CT, spine. sagittal reformat. bone window
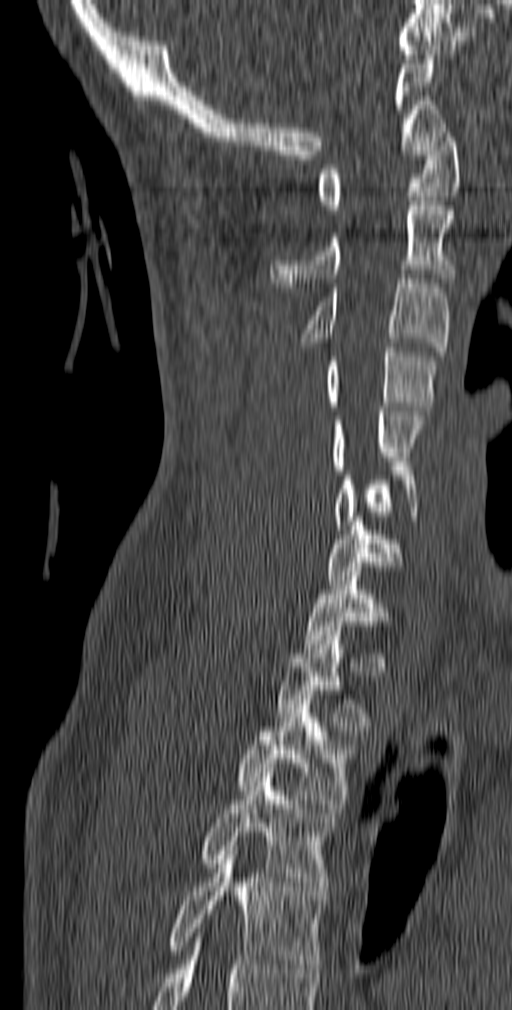
In the table, x1 and y1 are a box's top-left corner and x2 and y2 its bottom-right corner, in pixels.
| vertebra | x1 | y1 | x2 | y2 |
|---|---|---|---|---|
| C1 | 319 | 128 | 459 | 214 |
| C2 | 270 | 201 | 455 | 287 |
| C3 | 301 | 279 | 450 | 356 |
| C4 | 323 | 343 | 439 | 410 |
| C5 | 330 | 407 | 425 | 474 |
| C6 | 334 | 466 | 418 | 529 |
| C7 | 326 | 517 | 403 | 584 |
| T1 | 303 | 576 | 392 | 653 |
| T2 | 276 | 631 | 373 | 730 |
| T3 | 235 | 695 | 354 | 813 |
| T4 | 199 | 773 | 337 | 900 |
| T5 | 166 | 850 | 326 | 973 |